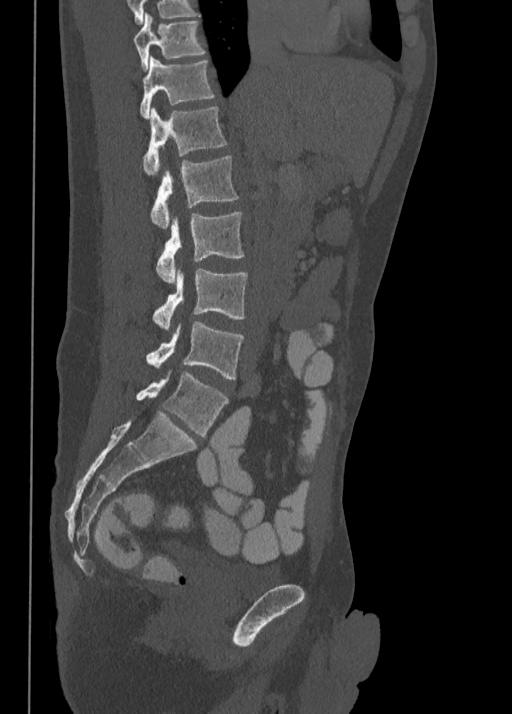 Spine computed tomography. sagittal reformat. 512x714 px

Each box given as x1,y1,x2,y2.
| vertebra | x1 | y1 | x2 | y2 |
|---|---|---|---|---|
| T10 | 133 | 13 | 205 | 70 |
| T11 | 140 | 57 | 214 | 119 |
| T12 | 143 | 107 | 227 | 175 |
| L1 | 150 | 157 | 239 | 228 |
| L2 | 156 | 212 | 245 | 282 |
| L3 | 153 | 269 | 247 | 329 |
| L4 | 146 | 321 | 243 | 379 |
| L5 | 136 | 371 | 228 | 436 |